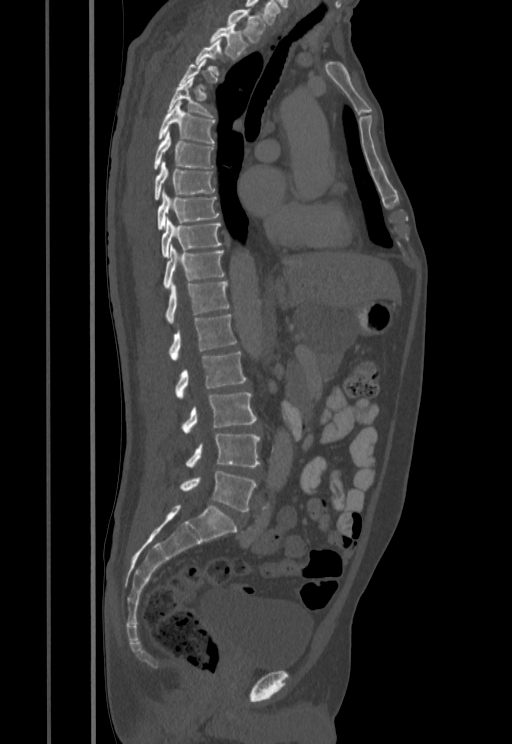

Computed tomography of the spine. sagittal view. 512x744 px. 455 mm across the image. Boxes are (x1, y1, x2, y2) in pixels. A vertebra gets a box only on the slices from the first to the last where its cross-section is at least a third of its largest; on a slice outside that range it gets none. 16 vertebrae labeled — T1 at (227, 10, 267, 43); T2 at (209, 21, 249, 59); T3 at (195, 38, 221, 75); T5 at (168, 77, 214, 117); T6 at (157, 101, 214, 144); T7 at (153, 132, 214, 169); T8 at (154, 162, 215, 200); T9 at (157, 191, 218, 230); T10 at (161, 218, 222, 256); T11 at (163, 245, 224, 289); T12 at (165, 281, 230, 324); L1 at (169, 314, 236, 360); L2 at (175, 352, 246, 397); L3 at (181, 392, 257, 432); L4 at (186, 433, 260, 467); L5 at (179, 471, 257, 511).